CT spine · sagittal view · W/L 1800/400 HU · 512x973 px · scan covers 17 annotated vertebrae
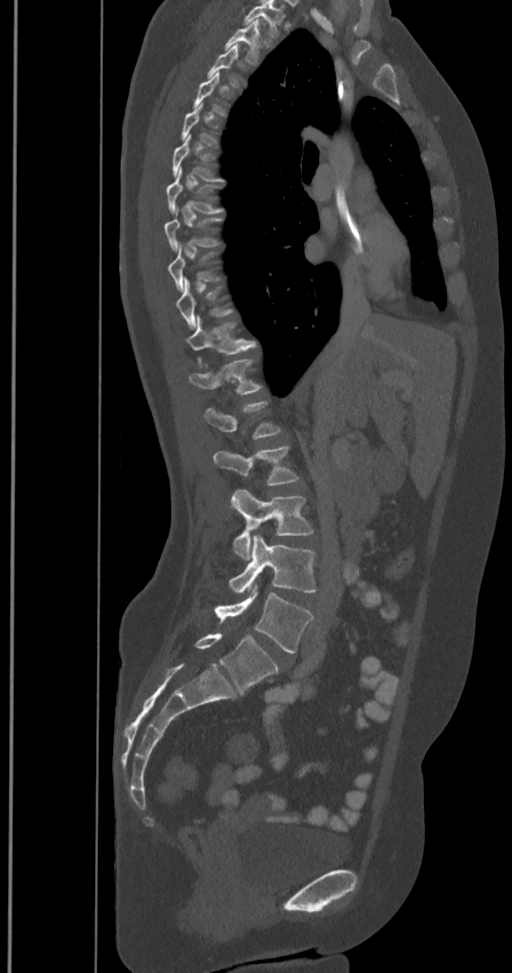
Boxes: x1 y1 x2 y2 (pixel coords, space-separated).
A vertebra gets a box only on the slices from the first to the last where its cross-section is at least a third of its largest; on a slice outside that range it gets none.
This scan's labels start at T2 at the top and end at L6 at the bottom.
These labels give the spine a sixth lumbar vertebra, L6, below L5.
Vertebra bounding boxes:
- T2: 225 21 261 64
- T3: 207 45 243 87
- T6: 172 133 223 181
- T7: 167 167 223 212
- T8: 164 208 223 249
- T9: 168 244 221 290
- T10: 175 278 233 327
- T11: 186 316 256 354
- T12: 188 358 262 394
- L1: 203 402 281 439
- L2: 213 445 299 485
- L3: 231 488 313 560
- L4: 228 536 316 593
- L5: 215 586 313 653
- L6: 194 633 278 693